CT, spine · image 367 mm wide · sagittal view
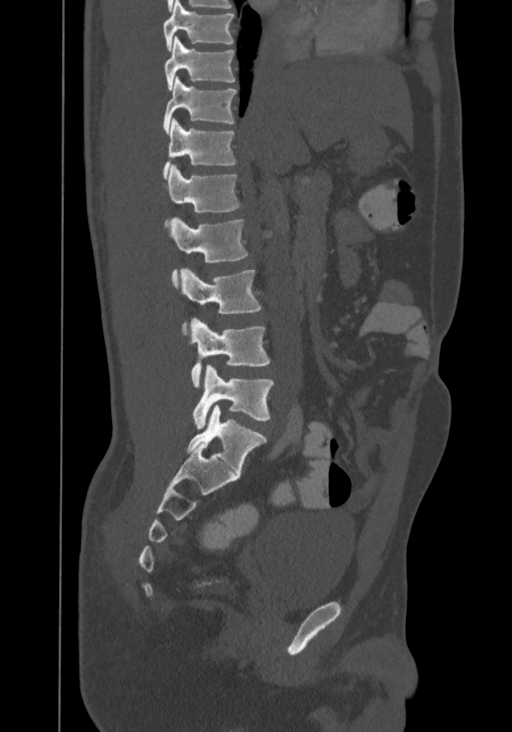

Boxes are (x1, y1, x2, y2) in pixels.
Labels in this scan begin with T8 at the top and end with L4 at the bottom.
Vertebra bounding boxes:
- T8: (163, 0, 235, 50)
- T9: (164, 36, 235, 89)
- T10: (163, 77, 236, 132)
- T11: (163, 118, 236, 177)
- T12: (164, 164, 240, 225)
- L1: (170, 217, 249, 287)
- L2: (180, 267, 261, 334)
- L3: (191, 318, 269, 388)
- L4: (192, 365, 274, 428)